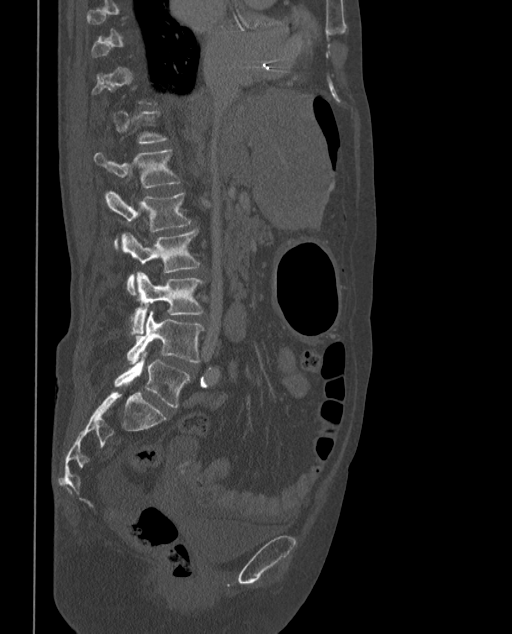

CT · sagittal reformat · Bone window (WL 400, WW 1800) · 512x634 px
Boxes: x1 y1 x2 y2 (pixel coords, space-separated).
Not every vertebra on this slice has a box: a vertebra is boxed only from the first to the last slice where its cross-section is at least a third of its largest, and this slice is outside that range for at least one of them.
In these labels the spine has an L6, a sixth lumbar vertebra below L5.
L1: 95 149 180 188
L2: 104 190 191 247
L3: 122 229 201 294
L4: 130 272 203 335
L5: 126 311 203 363
L6: 114 352 190 408